Spine CT; sagittal view; image 368 mm wide; bone-window reconstruction
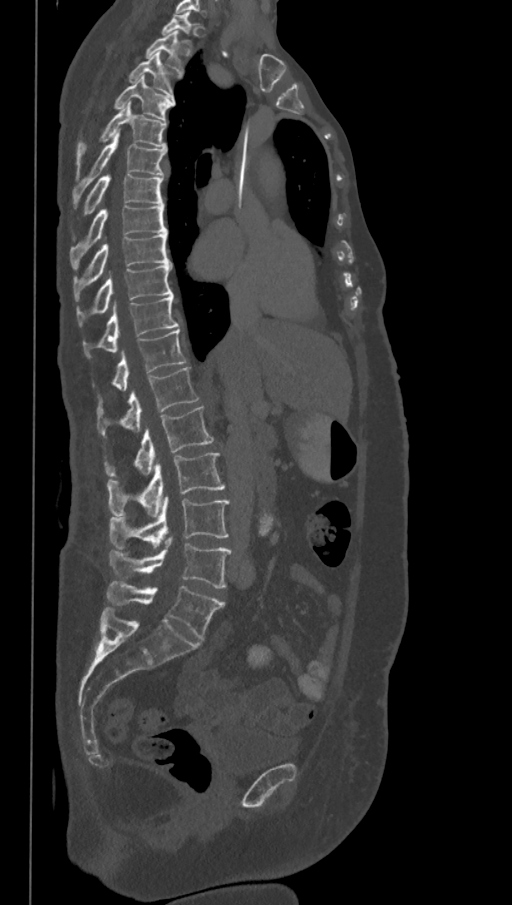
The labels name a sixth lumbar vertebra for this spine: L6, after L5.
<vertebrae><v name="T1" x1="161" y1="11" x2="196" y2="44"/><v name="T2" x1="146" y1="30" x2="182" y2="72"/><v name="T3" x1="129" y1="53" x2="180" y2="94"/><v name="T4" x1="114" y1="76" x2="174" y2="119"/><v name="T5" x1="76" y1="103" x2="166" y2="172"/><v name="T6" x1="72" y1="133" x2="166" y2="203"/><v name="T7" x1="85" y1="174" x2="163" y2="214"/><v name="T8" x1="69" y1="205" x2="167" y2="268"/><v name="T9" x1="74" y1="233" x2="171" y2="301"/><v name="T10" x1="76" y1="264" x2="173" y2="326"/><v name="T11" x1="83" y1="294" x2="178" y2="356"/><v name="T12" x1="112" y1="328" x2="185" y2="390"/><v name="L1" x1="97" y1="367" x2="199" y2="436"/><v name="L2" x1="104" y1="406" x2="214" y2="476"/><v name="L3" x1="107" y1="453" x2="226" y2="517"/><v name="L4" x1="110" y1="496" x2="231" y2="551"/><v name="L5" x1="110" y1="537" x2="233" y2="588"/><v name="L6" x1="107" y1="581" x2="224" y2="640"/></vertebrae>